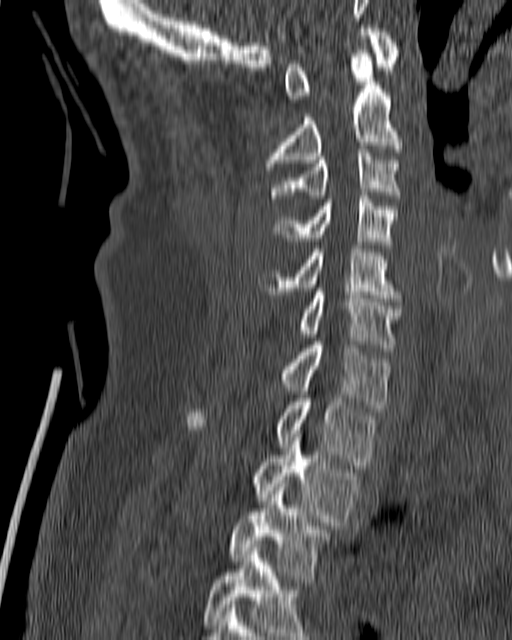 Spine CT. sagittal reformat. bone window

Box edges are left/top/right/bottom in pixels.
Vertebra bounding boxes:
- T4: left=203, top=544, right=313, bottom=639
- T3: left=228, top=484, right=333, bottom=575
- T2: left=251, top=430, right=358, bottom=525
- T1: left=186, top=391, right=378, bottom=465
- C7: left=280, top=341, right=390, bottom=411
- C6: left=297, top=288, right=401, bottom=347
- C5: left=258, top=245, right=402, bottom=301
- C4: left=274, top=192, right=398, bottom=248
- C3: left=269, top=149, right=401, bottom=198
- C2: left=263, top=50, right=401, bottom=173
- C1: left=285, top=25, right=398, bottom=102